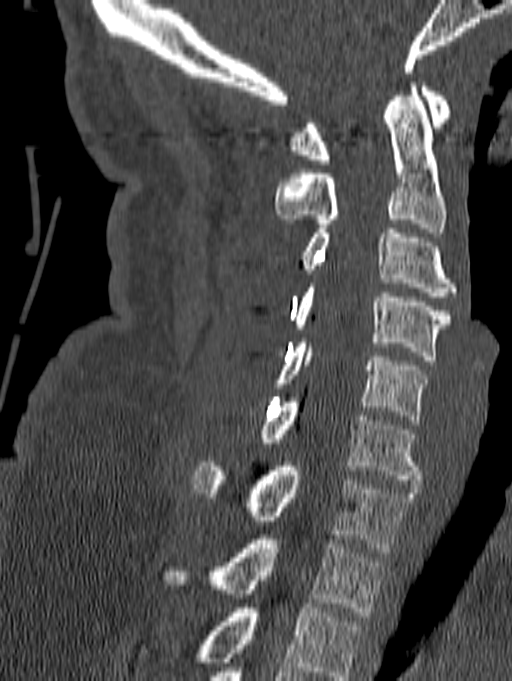

Computed tomography of the spine · sagittal view · 140 mm wide · W/L 1800/400 HU
Box edges are left/top/right/bottom in pixels. Labels in this scan begin with C1 at the top and end with T1 at the bottom. 8 vertebrae labeled — C1 at left=289, top=82, right=451, bottom=164; C2 at left=274, top=82, right=447, bottom=232; C3 at left=302, top=229, right=456, bottom=296; C4 at left=294, top=283, right=450, bottom=360; C5 at left=276, top=338, right=428, bottom=424; C6 at left=261, top=398, right=421, bottom=484; C7 at left=192, top=462, right=414, bottom=552; T1 at left=160, top=535, right=385, bottom=616.